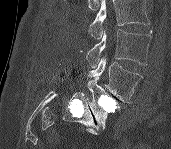

CT — sagittal view — W/L 1800/400 HU — 171x149 px
Bounding boxes as [x1, y1, x2, y2] in pixel coordinates. Vertebrae that run past the top of the scan are left unlabeled. Vertebrae labeled: L3 at [87, 29, 151, 67], L4 at [87, 56, 143, 103], L5 at [87, 77, 119, 129].